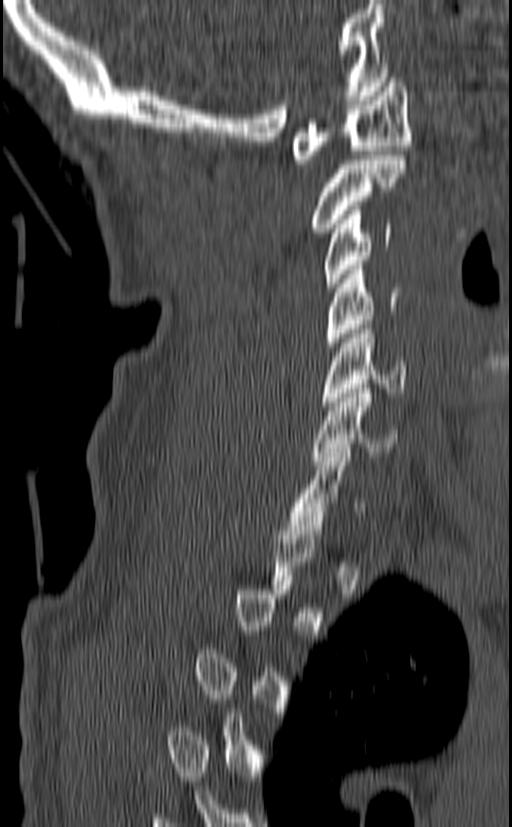 Computed tomography of the spine — image width 140 mm — sagittal view — bone-window reconstruction — 512x827 px
Each row gives a vertebra's box as x1, y1, x2, y2 in pixels: top-left corner, then bottom-right corner.
A vertebra gets a box only on the slices from the first to the last where its cross-section is at least a third of its largest; on a slice outside that range it gets none.
| vertebra | x1 | y1 | x2 | y2 |
|---|---|---|---|---|
| C7 | 287 | 448 | 363 | 534 |
| C6 | 312 | 384 | 399 | 465 |
| C5 | 320 | 325 | 406 | 406 |
| C4 | 327 | 265 | 399 | 346 |
| C3 | 324 | 206 | 392 | 292 |
| C2 | 312 | 155 | 406 | 232 |
| C1 | 290 | 78 | 412 | 164 |